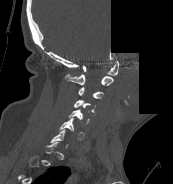 Computed tomography of the spine · sagittal view · bone-window reconstruction · a portion of the image is blanked out (constant pixel value)
A vertebra is boxed only from the first to the last slice where its cross-section is at least a third of its largest; slices outside that range leave it without a box.
<vertebrae><v name="C1" x1="82" y1="61" x2="118" y2="75"/><v name="C2" x1="65" y1="74" x2="113" y2="85"/><v name="C3" x1="78" y1="87" x2="104" y2="99"/><v name="C4" x1="74" y1="99" x2="95" y2="112"/><v name="C5" x1="68" y1="109" x2="89" y2="124"/><v name="C6" x1="59" y1="118" x2="84" y2="140"/></vertebrae>